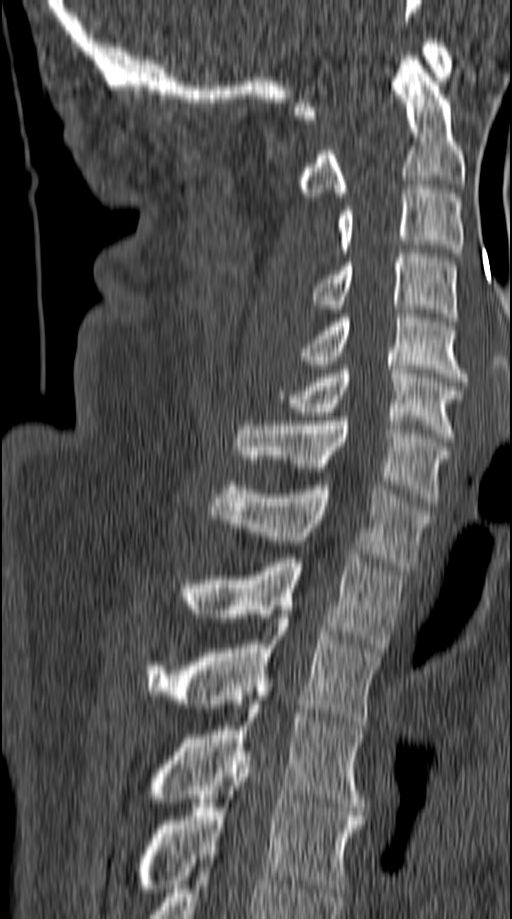

Spine computed tomography · sagittal view · W/L 1800/400 HU · 512x919 px
Boxes are (x1, y1, x2, y2) in pixels. Vertebrae labeled: C1 at (293, 39, 451, 119), C2 at (298, 56, 464, 197), C3 at (336, 185, 464, 257), C4 at (313, 249, 457, 321), C5 at (301, 305, 467, 381), C6 at (276, 365, 462, 441), C7 at (235, 417, 450, 502), T1 at (207, 481, 430, 570), T2 at (187, 554, 406, 652), T3 at (149, 614, 382, 725), T4 at (152, 700, 364, 807), T5 at (140, 756, 364, 892).